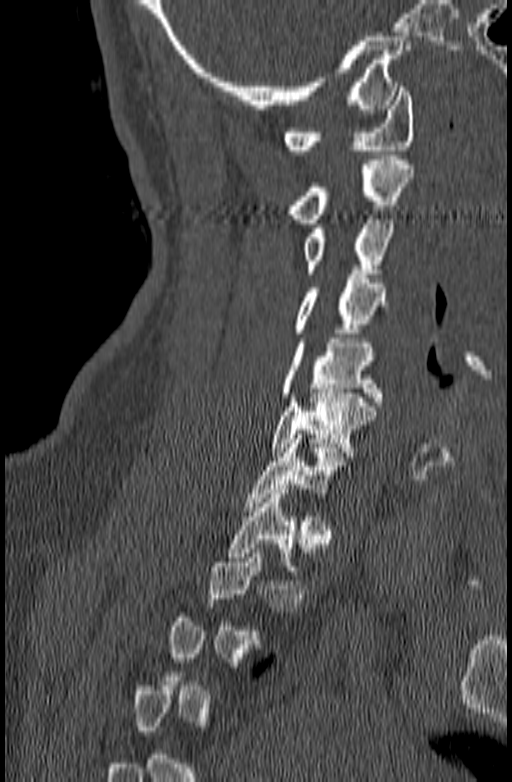
Spine CT — sagittal reformat — the image is 140 mm wide — Bone window (WL 400, WW 1800)
Each vertebra is boxed only on the slices from the first to the last where its cross-section reaches a third of its largest, so a slice outside that range leaves it unboxed.
<vertebrae><v name="C1" x1="283" y1="87" x2="414" y2="154"/><v name="C2" x1="287" y1="155" x2="414" y2="223"/><v name="C3" x1="301" y1="215" x2="395" y2="273"/><v name="C4" x1="290" y1="274" x2="388" y2="337"/><v name="C5" x1="279" y1="338" x2="381" y2="406"/><v name="C6" x1="270" y1="389" x2="376" y2="456"/><v name="C7" x1="244" y1="434" x2="352" y2="511"/><v name="T1" x1="226" y1="489" x2="300" y2="570"/></vertebrae>